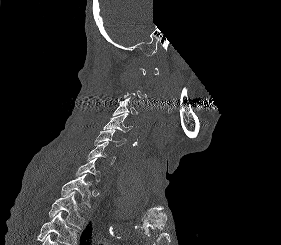
Computed tomography of the spine; sagittal view; a region of this slice is masked with a uniform fill
Boxes: x1 y1 x2 y2 (pixel coords, space-separated).
A vertebra is boxed only from the first to the last slice where its cross-section is at least a third of its largest; slices outside that range leave it without a box.
No box is given to a vertebra that the bottom edge of the scan cuts off.
T2: 49 190 84 229
T1: 60 174 93 208
C7: 75 158 100 181
C6: 87 141 116 164
C5: 94 130 128 146
C4: 103 112 132 132
C3: 112 97 138 115